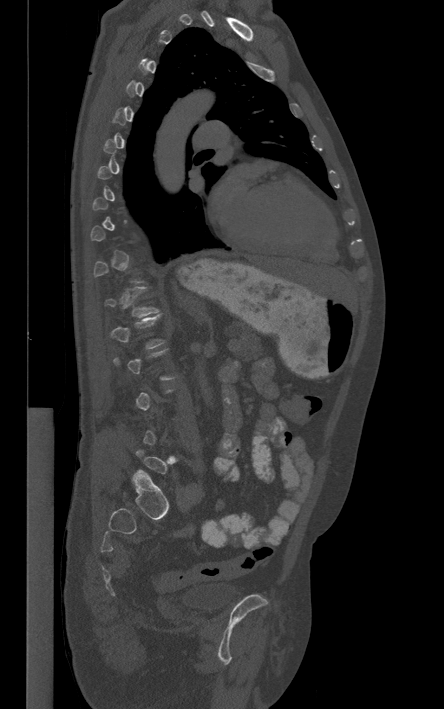 Spine computed tomography · sagittal view

Each vertebra maps to its box as [x1, y1, x2, y2], the pixel coordinates of its top-left and bottom-right corners.
Each vertebra is boxed only on the slices from the first to the last where its cross-section reaches a third of its largest, so a slice outside that range leaves it unboxed.
{"vertebrae":{"T12":[104,287,158,317],"L1":[110,315,165,348]}}